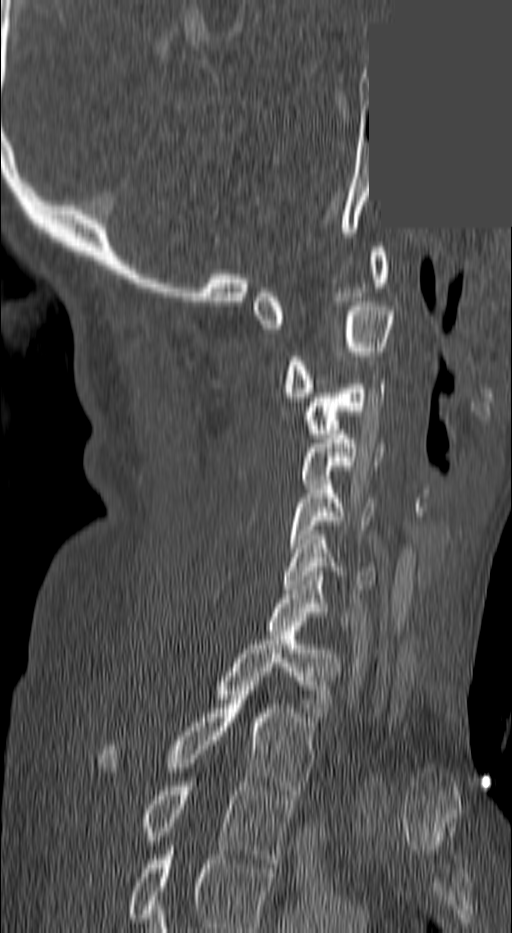

CT, spine. sagittal view. 512x933 px. 140 mm wide. some of the image was removed or blocked out with constant pixels
Labels in this scan begin with C1 at the top and end with T3 at the bottom.
<vertebrae><v name="C1" x1="252" y1="247" x2="388" y2="328"/><v name="C2" x1="279" y1="302" x2="392" y2="401"/><v name="C3" x1="306" y1="379" x2="384" y2="438"/><v name="C4" x1="298" y1="430" x2="383" y2="484"/><v name="C5" x1="287" y1="480" x2="373" y2="552"/><v name="C6" x1="283" y1="535" x2="375" y2="589"/><v name="C7" x1="261" y1="576" x2="349" y2="630"/><v name="T1" x1="213" y1="631" x2="337" y2="721"/><v name="T2" x1="100" y1="681" x2="315" y2="794"/><v name="T3" x1="140" y1="782" x2="293" y2="863"/></vertebrae>